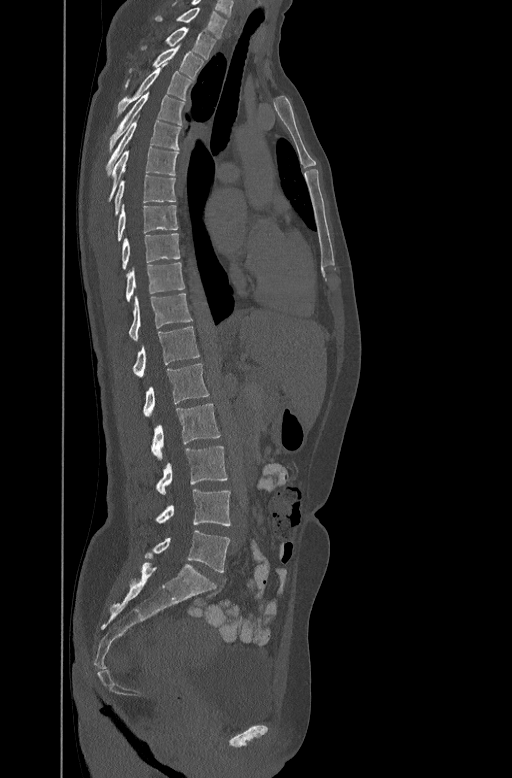

CT spine · sagittal view · 512x778 px
Coordinates as <box>x1,y1,x2,y2</box>.
Vertebra bounding boxes:
- L5: <box>144,530,230,572</box>
- L4: <box>156,489,230,526</box>
- L3: <box>157,446,227,495</box>
- L2: <box>151,404,220,460</box>
- L1: <box>143,363,209,417</box>
- T12: <box>133,325,199,376</box>
- T11: <box>128,292,193,339</box>
- T10: <box>126,261,184,301</box>
- T9: <box>121,232,180,268</box>
- T8: <box>117,204,178,240</box>
- T7: <box>113,173,175,213</box>
- T6: <box>108,146,179,200</box>
- T5: <box>106,120,181,173</box>
- T4: <box>110,91,186,147</box>
- T3: <box>118,67,193,112</box>
- T2: <box>125,45,204,88</box>
- T1: <box>142,27,215,58</box>
- C7: <box>155,6,227,37</box>